CT spine · sagittal view · W/L 1800/400 HU · image 230 mm wide · 230x400 px
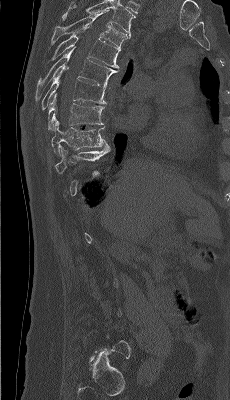
Boxes are given in columns x1, y1, x2, y2, the pixel coordinates of their top-left and bottom-right corners.
A vertebra gets a box only on the slices from the first to the last where its cross-section is at least a third of its largest; on a slice outside that range it gets none.
In this scan, the topmost labeled vertebra is T4 and the lowest is L5.
| vertebra | x1 | y1 | x2 | y2 |
|---|---|---|---|---|
| T10 | 55 | 145 | 109 | 173 |
| T9 | 51 | 120 | 107 | 155 |
| T8 | 48 | 93 | 104 | 130 |
| T7 | 42 | 66 | 106 | 109 |
| T6 | 35 | 47 | 118 | 100 |
| T5 | 51 | 26 | 120 | 68 |
| T4 | 50 | 10 | 127 | 47 |